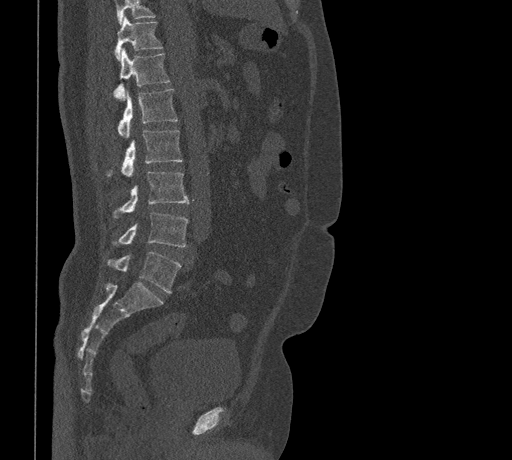 CT spine · sagittal view · 512x460 px · the image is 461 mm wide
Boxes are (x1, y1, x2, y2) in pixels.
Where the top of the scan cuts through a vertebra, that vertebra gets no label or box.
T11: (114, 17, 163, 60)
T12: (113, 48, 170, 100)
L1: (118, 89, 177, 137)
L2: (105, 130, 182, 176)
L3: (112, 171, 189, 218)
L4: (111, 212, 188, 247)
L5: (107, 252, 181, 292)